Spine computed tomography; sagittal view; 537x596 px; scan covers 7 annotated vertebrae; 430 mm across the image
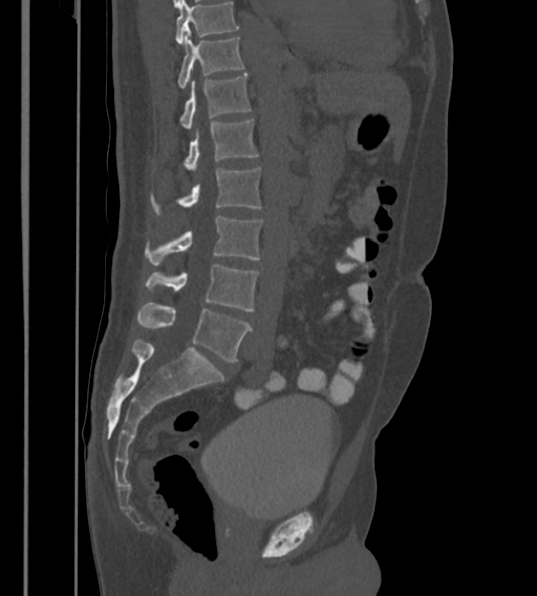 Boxes below are [x1, y1, x2, y2] in pixels.
The highest labeled vertebra in this scan is T12; the lowest is L6.
In these labels the spine has an L6, a sixth lumbar vertebra below L5.
{"vertebrae":{"L6":[137,302,252,363],"L5":[146,264,258,311],"L4":[146,216,261,265],"L3":[151,167,260,213],"L2":[184,119,259,172],"L1":[181,74,250,129],"T12":[178,35,244,88]}}